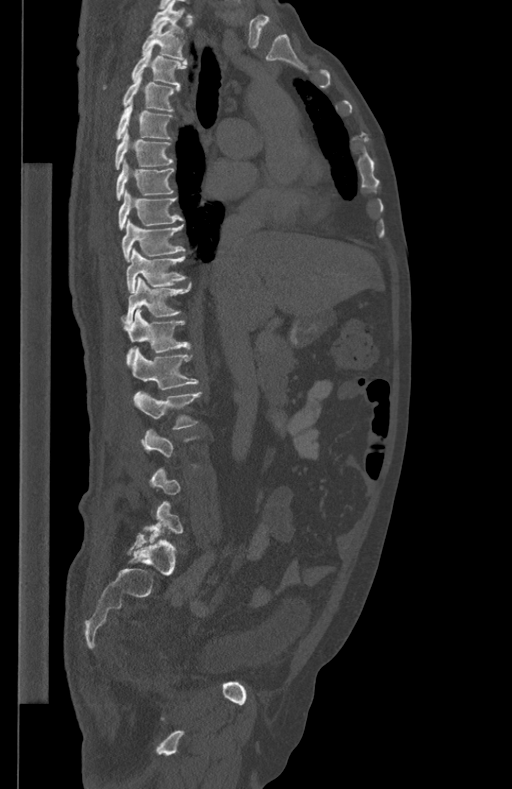
Spine computed tomography; the image spans 434 mm across; sagittal view; bone-window reconstruction; 512x789 px

Box edges are left/top/right/bottom in pixels.
A vertebra is boxed only from the first to the last slice where its cross-section is at least a third of its largest; slices outside that range leave it without a box.
Vertebra bounding boxes:
- T1: left=150, top=0, right=184, bottom=34
- T2: left=141, top=21, right=184, bottom=60
- T3: left=103, top=47, right=187, bottom=89
- T4: left=123, top=76, right=179, bottom=110
- T5: left=114, top=103, right=172, bottom=139
- T6: left=114, top=131, right=174, bottom=170
- T7: left=116, top=158, right=175, bottom=201
- T8: left=118, top=191, right=183, bottom=229
- T9: left=121, top=219, right=184, bottom=260
- T10: left=126, top=248, right=186, bottom=293
- T11: left=121, top=277, right=191, bottom=324
- T12: left=124, top=309, right=190, bottom=363
- L1: left=131, top=347, right=198, bottom=389
- L2: left=134, top=392, right=202, bottom=429